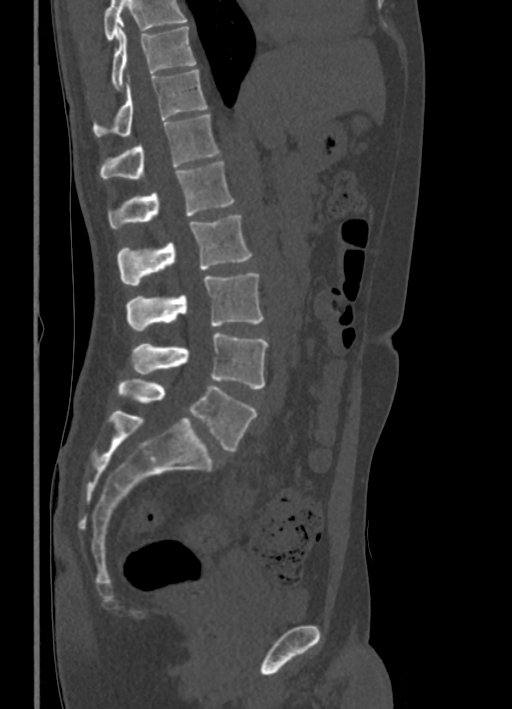

CT — sagittal reformat — 512x709 px — 336 mm image width
Bounding boxes as [x1, y1, x2, y2] in pixel coordinates.
A vertebra cut off by the top edge of the scan is not labeled and has no box.
T10: [111, 26, 195, 89]
T11: [93, 70, 208, 136]
T12: [100, 115, 220, 178]
L1: [108, 161, 233, 230]
L2: [117, 215, 252, 286]
L3: [126, 273, 262, 331]
L4: [131, 332, 267, 389]
L5: [117, 378, 256, 451]